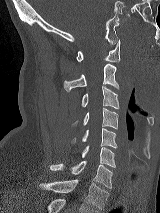 Spine computed tomography — image width 160 mm — sagittal reformat — 160x213 px. Bounding boxes as [x1, y1, x2, y2] in pixel coordinates.
Vertebra bounding boxes:
- C1: [76, 39, 120, 62]
- C2: [63, 64, 119, 92]
- C3: [81, 86, 119, 109]
- C4: [74, 108, 118, 129]
- C5: [74, 128, 116, 148]
- C6: [81, 146, 115, 167]
- C7: [49, 161, 112, 188]
- T1: [38, 179, 108, 210]